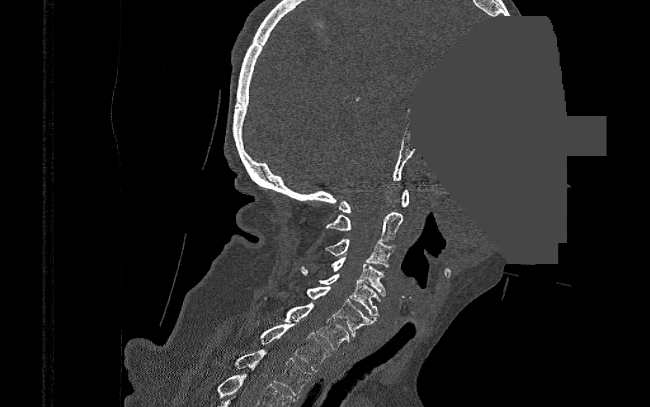

Spine CT. 390 mm across the image. sagittal view. bone window. a region of this slice is masked with a uniform fill
Each vertebra maps to its box as [x1, y1, x2, y2], the pixel coordinates of its top-left and bottom-right corners.
{"vertebrae":{"C1":[339,189,409,213],"C2":[326,211,404,240],"C3":[324,239,395,267],"C4":[330,257,385,295],"C5":[298,266,380,316],"C6":[306,286,377,336],"C7":[284,303,349,350],"T1":[260,322,330,371],"T2":[234,349,311,398]}}